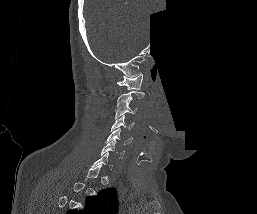

CT spine — sagittal view — 257x214 px — 257 mm across the image — part of the image has been replaced by a constant value. Boxes are (x1, y1, x2, y2) in pixels. A vertebra gets a box only on the slices from the first to the last where its cross-section is at least a third of its largest; on a slice outside that range it gets none. Vertebrae labeled: C1 at (117, 73, 143, 89), C2 at (117, 91, 144, 108), C3 at (115, 100, 137, 119), C4 at (111, 115, 134, 131), C5 at (105, 128, 132, 144), C6 at (101, 139, 124, 158).